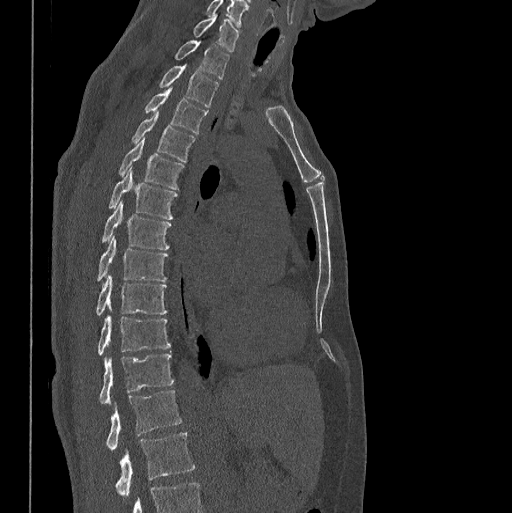
Spine computed tomography — sagittal view
Each box given as x1,y1,x2,y2. Labels in this scan begin with C7 at the top and end with L1 at the bottom. 14 vertebrae labeled — C7 at x1=193, y1=15, x2=238, y2=51; T1 at x1=175, y1=41, x2=229, y2=79; T2 at x1=159, y1=64, x2=219, y2=107; T3 at x1=144, y1=87, x2=207, y2=133; T4 at x1=131, y1=111, x2=194, y2=162; T5 at x1=118, y1=138, x2=184, y2=189; T6 at x1=108, y1=168, x2=178, y2=219; T7 at x1=101, y1=200, x2=171, y2=249; T8 at x1=96, y1=236, x2=167, y2=280; T9 at x1=96, y1=274, x2=166, y2=315; T10 at x1=98, y1=315, x2=170, y2=354; T11 at x1=99, y1=353, x2=174, y2=404; T12 at x1=107, y1=389, x2=182, y2=451; L1 at x1=116, y1=432, x2=194, y2=496.